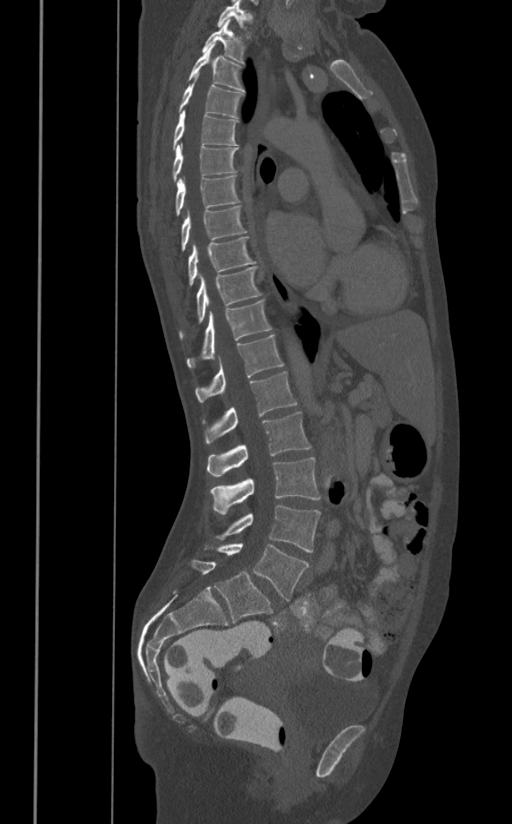

Spine CT; sagittal reformat; bone-window reconstruction; 512x824 px
<vertebrae><v name="L5" x1="204" y1="543" x2="309" y2="600"/><v name="L4" x1="215" y1="506" x2="320" y2="552"/><v name="L3" x1="209" y1="457" x2="320" y2="514"/><v name="L2" x1="207" y1="411" x2="310" y2="476"/><v name="L1" x1="203" y1="372" x2="297" y2="443"/><v name="T12" x1="195" y1="334" x2="283" y2="402"/><v name="T11" x1="187" y1="301" x2="271" y2="368"/><v name="T10" x1="179" y1="266" x2="262" y2="338"/><v name="T9" x1="187" y1="236" x2="255" y2="288"/><v name="T8" x1="181" y1="206" x2="249" y2="252"/><v name="T7" x1="174" y1="176" x2="241" y2="217"/><v name="T6" x1="171" y1="143" x2="238" y2="183"/><v name="T5" x1="172" y1="108" x2="238" y2="150"/><v name="T4" x1="179" y1="73" x2="244" y2="117"/><v name="T3" x1="188" y1="42" x2="245" y2="91"/><v name="T2" x1="202" y1="19" x2="245" y2="64"/><v name="T1" x1="217" y1="0" x2="253" y2="39"/></vertebrae>